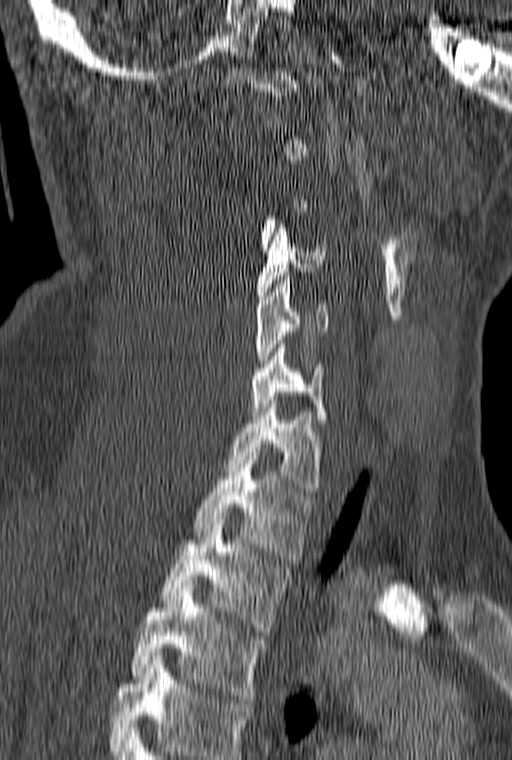

CT, spine; sagittal reformat; bone window; the image is 160 mm wide
Boxes below are [x1, y1, x2, y2] in pixels.
Each vertebra is boxed only on the slices from the first to the last where its cross-section reaches a third of its largest, so a slice outside that range leaves it unboxed.
In this scan, the topmost labeled vertebra is C1 and the lowest is T3.
{"vertebrae":{"C4":[257,224,326,303],"C5":[255,276,328,367],"C6":[251,340,327,423],"C7":[225,400,323,495],"T1":[193,452,313,559],"T2":[161,520,291,631],"T3":[129,588,269,703]}}